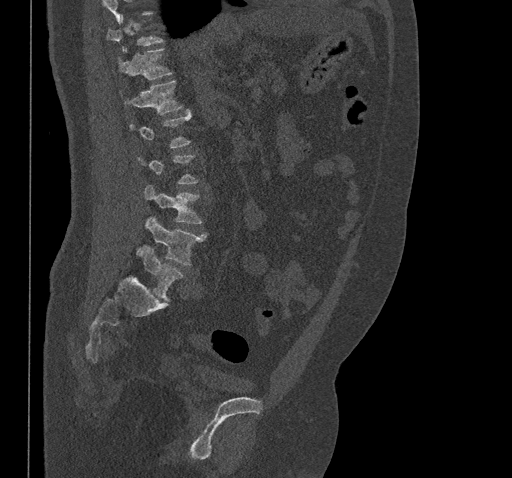
Computed tomography of the spine. sagittal view. image width 461 mm. bone window

A vertebra is boxed only from the first to the last slice where its cross-section is at least a third of its largest; slices outside that range leave it without a box.
<vertebrae><v name="T11" x1="118" y1="48" x2="172" y2="79"/><v name="T12" x1="119" y1="80" x2="183" y2="114"/><v name="L3" x1="144" y1="185" x2="202" y2="224"/><v name="L4" x1="145" y1="217" x2="207" y2="265"/><v name="L5" x1="138" y1="245" x2="183" y2="300"/></vertebrae>